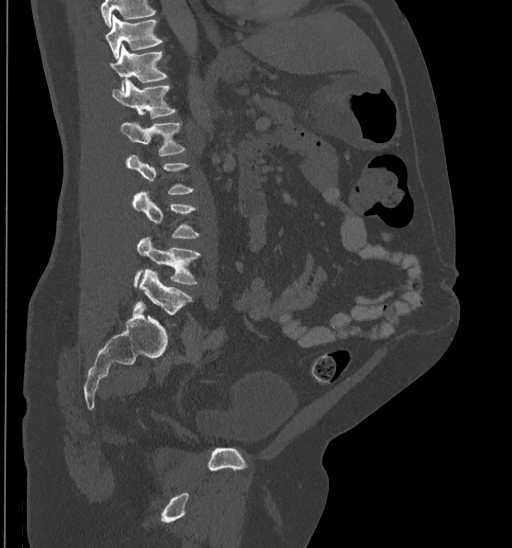

CT · sagittal view · the image spans 435 mm across

Boxes are (x1, y1, x2, y2) in pixels.
Each vertebra is boxed only on the slices from the first to the last where its cross-section reaches a third of its largest, so a slice outside that range leaves it unboxed.
Where the top of the scan cuts through a vertebra, that vertebra gets no label or box.
Vertebra bounding boxes:
- L5: (140, 269, 192, 315)
- L4: (133, 237, 200, 287)
- L3: (132, 191, 199, 238)
- L1: (120, 122, 185, 156)
- T12: (112, 79, 175, 119)
- T11: (109, 44, 167, 90)
- T10: (106, 15, 163, 58)